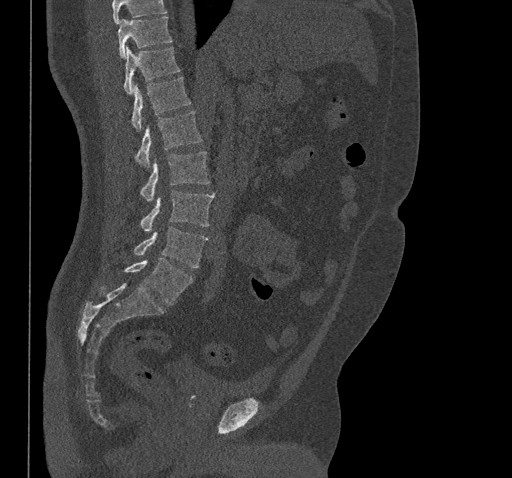

Computed tomography of the spine. sagittal view. 512x478 px

Each box given as x1,y1,x2,y2.
No box is given to a vertebra that the top edge of the scan cuts off.
T10: x1=118, y1=16, x2=172, y2=57
T11: x1=123, y1=47, x2=180, y2=94
T12: x1=131, y1=77, x2=191, y2=131
L1: x1=135, y1=111, x2=202, y2=167
L2: x1=141, y1=151, x2=209, y2=201
L3: x1=141, y1=190, x2=214, y2=231
L4: x1=134, y1=227, x2=207, y2=267
L5: x1=124, y1=258, x2=193, y2=305